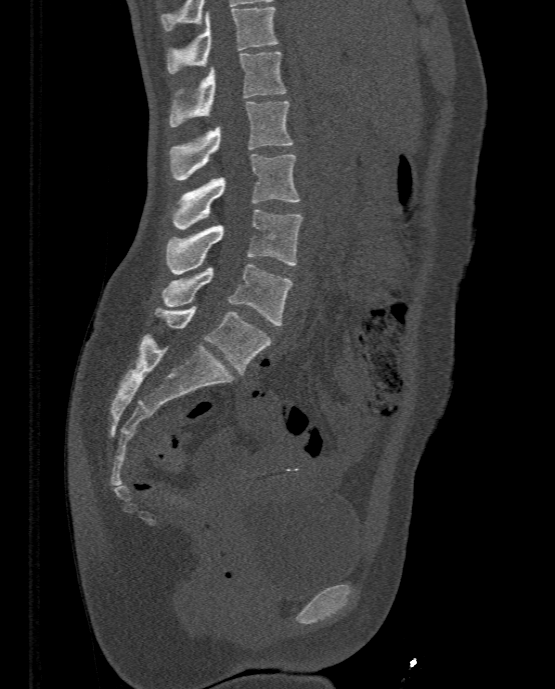 CT, spine · 333 mm image width · sagittal view · bone-window reconstruction · 555x689 px
Coordinates as <box>x1,y1,x2,y2</box>. The labeled vertebrae in this slice are: T11 at <box>166,6,279,74</box>, T12 at <box>169,51,285,126</box>, L1 at <box>170,101,294,180</box>, L2 at <box>172,154,300,229</box>, L3 at <box>166,210,303,274</box>, L4 at <box>162,263,293,325</box>, L5 at <box>155,305,272,375</box>.